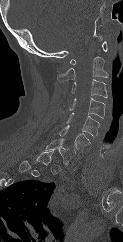

Spine computed tomography. sagittal view. W/L 1800/400 HU. 123x242 px
Coordinates as <box>x1,y1,x2,y2</box>. A vertebra gets a box only on the slices from the first to the last where its cross-section is at least a third of its largest; on a slice outside that range it gets none. The labeled vertebrae in this slice are: C1 at <box>69,41,107,64</box>, C2 at <box>57,56,108,83</box>, C3 at <box>70,79,107,97</box>, C4 at <box>68,98,105,118</box>, C5 at <box>66,112,99,136</box>, C6 at <box>58,125,90,151</box>, C7 at <box>45,138,75,165</box>.